CT — image 268 mm wide — Sagittal slice 64/132 — bone-window reconstruction — 512x1532 px — 21 vertebrae labeled in this scan
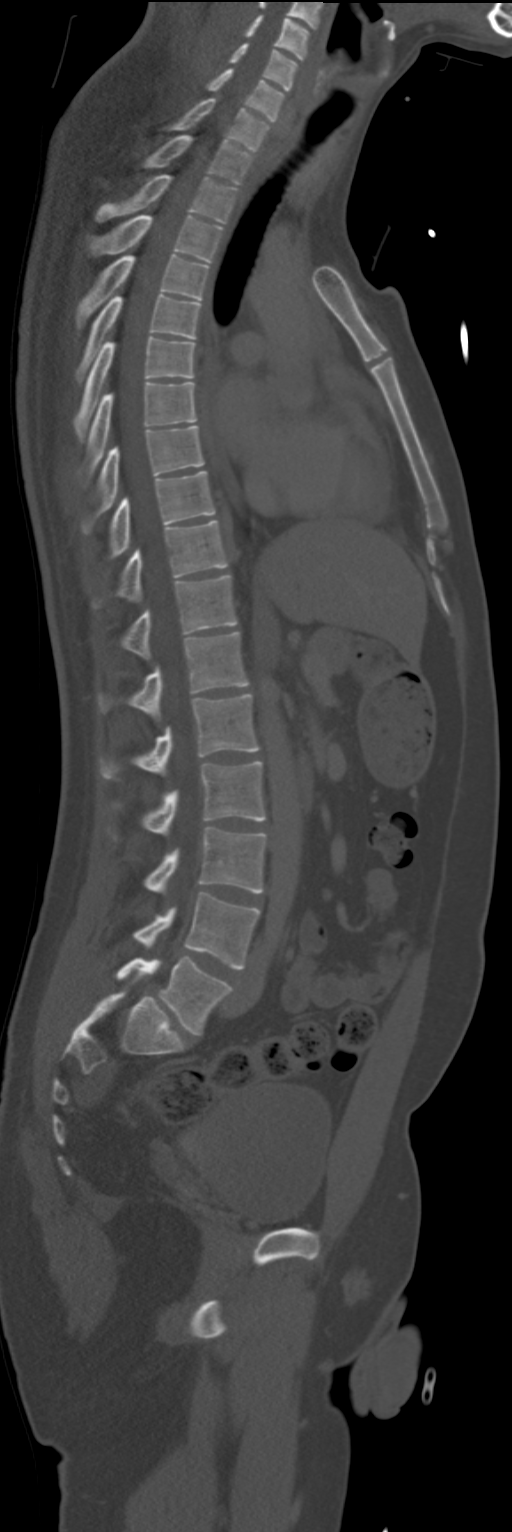

Boxes are (x1, y1, x2, y2) in pixels. Vertebrae labeled: L5 at (116, 957, 231, 1035), L4 at (134, 893, 259, 968), L3 at (143, 828, 265, 893), L2 at (142, 761, 265, 834), L1 at (100, 694, 259, 779), T12 at (100, 631, 248, 720), T11 at (121, 575, 236, 658), T10 at (94, 520, 227, 605), T9 at (109, 470, 215, 555), T8 at (82, 426, 204, 534), T7 at (78, 383, 196, 486), T6 at (74, 337, 194, 442), T5 at (77, 295, 200, 382), T4 at (77, 255, 208, 328), T3 at (90, 214, 221, 261), T2 at (96, 174, 236, 223), T1 at (144, 134, 252, 185), C7 at (169, 98, 269, 150), C6 at (207, 69, 284, 122), C5 at (230, 42, 297, 91), C4 at (245, 15, 309, 61).